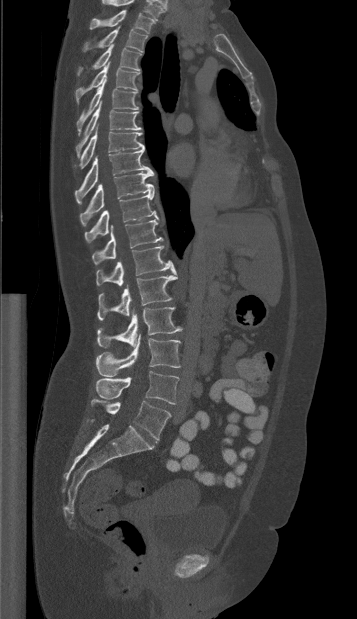
CT, spine. sagittal view. 357 mm image width
Each vertebra maps to its box as [x1, y1, x2, y2], the pixel coordinates of its top-left and bottom-right corners.
This scan's labels start at T1 at the top and end at L5 at the bottom.
{"vertebrae":{"T1":[90,10,155,33],"T2":[82,25,147,51],"T3":[77,45,141,75],"T4":[75,61,139,102],"T5":[76,79,137,131],"T6":[76,101,141,156],"T7":[78,128,144,169],"T8":[75,149,151,203],"T9":[80,171,154,225],"T10":[84,193,158,242],"T11":[92,219,163,264],"T12":[96,246,176,285],"L1":[97,275,177,320],"L2":[97,307,181,348],"L3":[96,334,180,376],"L4":[96,371,178,404],"L5":[91,398,171,439]}}